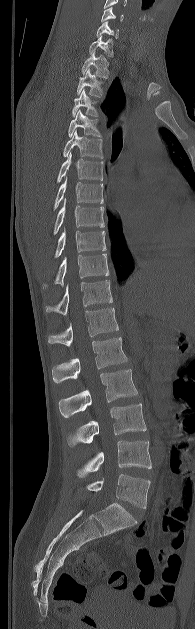
CT — sagittal reformat — 195x629 px

Coordinates as <box>x1,y1,x2,y2</box>. 20 vertebrae labeled — L5 at <box>87,474,150,508</box>; L4 at <box>77,440,151,477</box>; L3 at <box>67,403,146,446</box>; L2 at <box>58,369,137,417</box>; L1 at <box>52,337,127,383</box>; T12 at <box>48,308,118,346</box>; T11 at <box>46,280,112,315</box>; T10 at <box>45,254,108,286</box>; T9 at <box>54,226,106,258</box>; T8 at <box>53,199,104,234</box>; T7 at <box>53,177,103,209</box>; T6 at <box>57,152,103,182</box>; T5 at <box>63,130,102,158</box>; T4 at <box>67,109,100,137</box>; T3 at <box>72,89,98,116</box>; T2 at <box>77,69,102,96</box>; T1 at <box>82,52,108,78</box>; C7 at <box>88,35,113,57</box>; C6 at <box>96,21,119,38</box>; C5 at <box>101,7,123,21</box>.